CT spine. sagittal reformat. 331x696 px. 19 vertebrae labeled in this scan. 331 mm image width
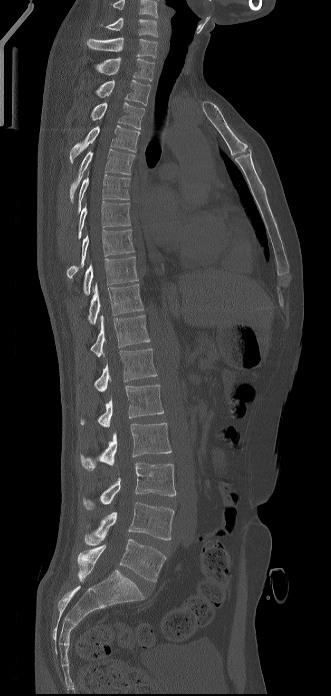
In the table, x1 and y1 are a box's top-left corner and x2 and y2 its bottom-right corner, in pixels.
This scan's labels start at C6 at the top and end at L5 at the bottom.
| vertebra | x1 | y1 | x2 | y2 |
|---|---|---|---|---|
| L5 | 77 | 539 | 166 | 581 |
| L4 | 84 | 502 | 174 | 545 |
| L3 | 83 | 462 | 176 | 509 |
| L2 | 81 | 423 | 171 | 470 |
| L1 | 80 | 384 | 163 | 427 |
| T12 | 94 | 348 | 157 | 392 |
| T11 | 90 | 315 | 150 | 357 |
| T10 | 88 | 284 | 143 | 323 |
| T9 | 83 | 256 | 138 | 295 |
| T8 | 67 | 229 | 134 | 278 |
| T7 | 78 | 201 | 130 | 239 |
| T6 | 78 | 171 | 130 | 212 |
| T5 | 70 | 149 | 134 | 202 |
| T4 | 70 | 125 | 139 | 162 |
| T3 | 91 | 102 | 144 | 129 |
| T2 | 95 | 79 | 150 | 105 |
| T1 | 95 | 57 | 154 | 80 |
| C7 | 87 | 37 | 157 | 57 |
| C6 | 99 | 18 | 157 | 36 |